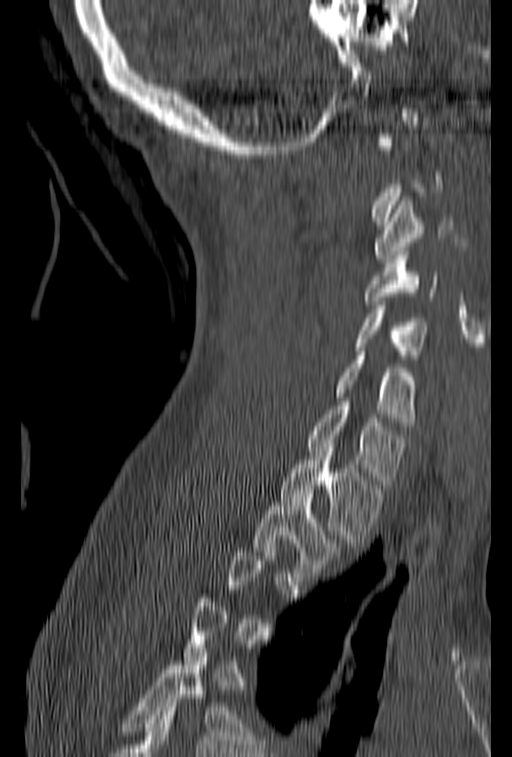
CT · sagittal view · 153 mm across the image · 512x757 px
Each vertebra maps to its box as [x1, y1, x2, y2], the pixel coordinates of its top-left and bottom-right corners.
Each vertebra is boxed only on the slices from the first to the last where its cross-section reaches a third of its largest, so a slice outside that range leaves it unboxed.
{"vertebrae":{"C3":[374,197,456,263],"C4":[364,247,439,304],"C5":[356,297,429,359],"C6":[333,347,419,426],"C7":[308,397,405,484],"T1":[279,452,384,543],"T2":[254,489,344,576]}}